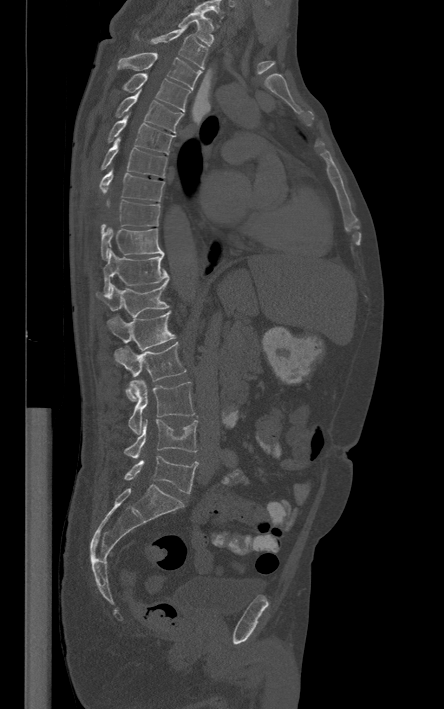
CT · sagittal view · image 444 mm wide · 444x709 px
Boxes are (x1, y1, x2, y2) in pixels. The highest labeled vertebra in this scan is T1; the lowest is L5. Vertebrae labeled: T1 at (178, 12, 213, 46), T2 at (136, 26, 207, 68), T3 at (118, 52, 201, 88), T4 at (123, 73, 190, 112), T5 at (115, 89, 183, 132), T6 at (108, 115, 174, 154), T7 at (102, 137, 167, 177), T8 at (100, 170, 163, 201), T9 at (101, 200, 160, 233), T10 at (101, 227, 163, 259), T11 at (102, 250, 168, 293), T12 at (96, 278, 168, 317), L1 at (106, 311, 174, 350), L2 at (115, 342, 186, 400), L3 at (128, 379, 194, 434), L4 at (125, 419, 197, 458), L5 at (124, 455, 198, 493).